CT, spine — sagittal view
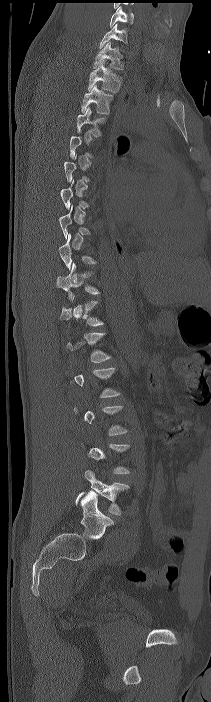
Boxes below are [x1, y1, x2, y2] in pixels.
Not every vertebra on this slice has a box: a vertebra is boxed only from the first to the last slice where its cross-section is at least a third of its largest, and this slice is outside that range for at least one of them.
In this scan, the topmost labeled vertebra is C7 and the lowest is L4.
{"vertebrae":{"C7":[99,23,127,48],"T1":[93,42,124,69],"T2":[88,60,122,93],"T3":[81,85,113,114],"T4":[77,107,105,136],"T10":[56,262,100,301],"L4":[76,470,129,515]}}